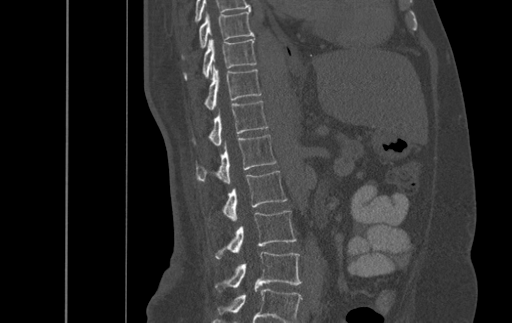
Spine computed tomography; sagittal view; bone-window reconstruction; 512x323 px
In the table, x1 and y1 are a box's top-left corner and x2 and y2 its bottom-right corner, in pixels.
The highest labeled vertebra in this scan is T9; the lowest is L4.
| vertebra | x1 | y1 | x2 | y2 |
|---|---|---|---|---|
| T9 | 199 | 11 | 254 | 47 |
| T10 | 185 | 38 | 256 | 79 |
| T11 | 205 | 65 | 261 | 110 |
| T12 | 194 | 100 | 268 | 145 |
| L1 | 196 | 134 | 276 | 183 |
| L2 | 222 | 171 | 287 | 220 |
| L3 | 215 | 211 | 296 | 258 |
| L4 | 215 | 252 | 301 | 291 |